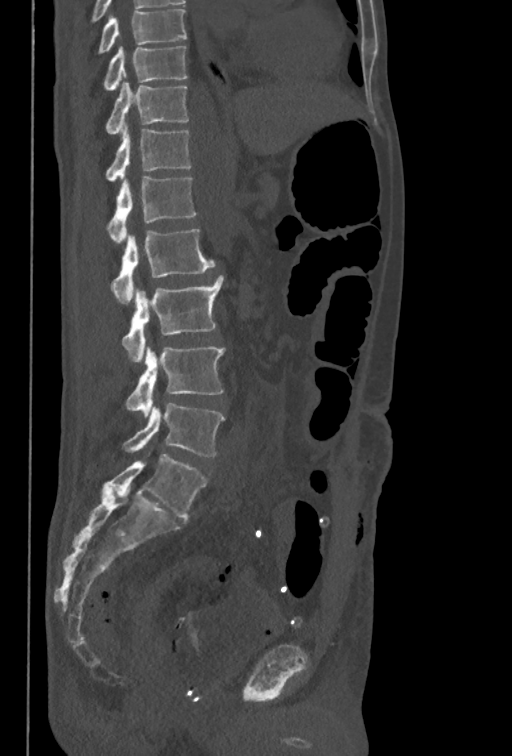 Spine computed tomography · sagittal view · 512x756 px · the image spans 350 mm across
Boxes: x1:y1:x2:y2 in pixels. Labels in this scan begin with T10 at the top and end with L5 at the bottom. Vertebrae labeled: T10 at 104:46:187:91, T11 at 105:82:189:133, T12 at 105:126:190:181, L1 at 107:176:196:243, L2 at 111:229:215:304, L3 at 121:275:223:361, L4 at 126:346:224:416, L5 at 122:403:224:456.